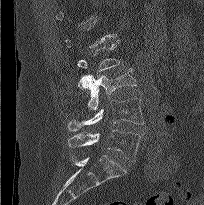
CT spine; sagittal view; bone-window reconstruction; 204x205 px; the image is 204 mm wide

Boxes are (x1, y1, x2, y2) in pixels. Each vertebra is boxed only on the slices from the first to the last where its cross-section reaches a third of its largest, so a slice outside that range leaves it unboxed. 3 vertebrae labeled — L3 at (79, 68, 136, 110); L4 at (68, 98, 144, 131); L5 at (68, 129, 140, 161).